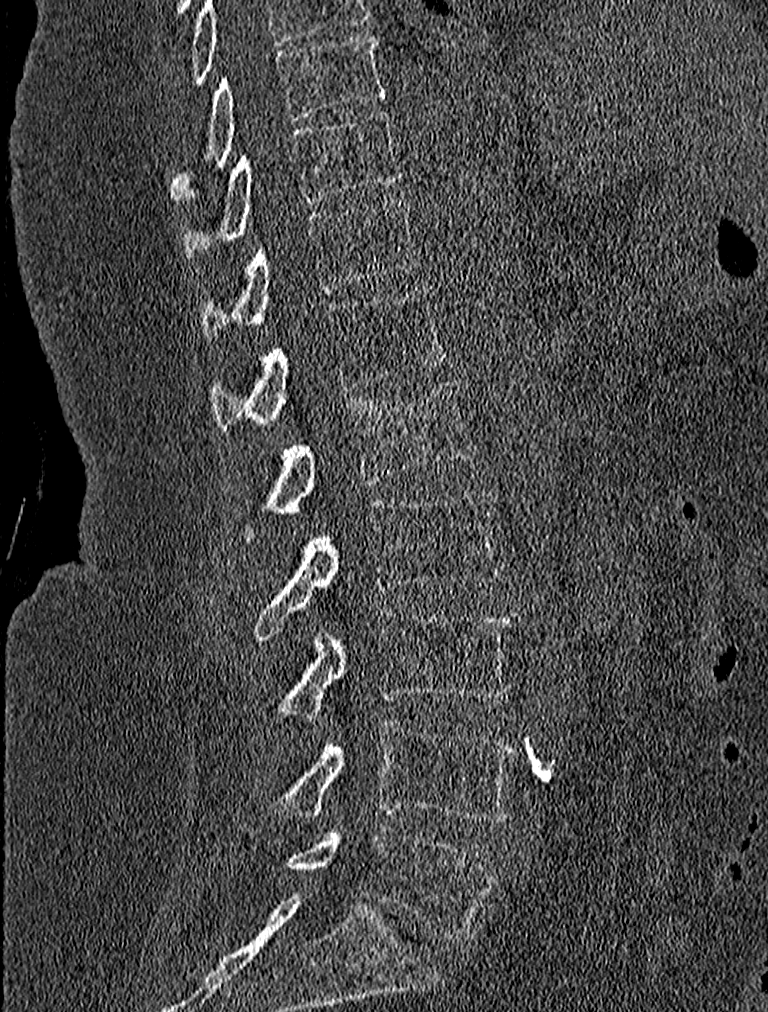
CT, spine. sagittal reformat. 768x1012 px
<vertebrae><v name="L5" x1="286" y1="827" x2="495" y2="941"/><v name="L4" x1="276" y1="719" x2="515" y2="823"/><v name="L3" x1="280" y1="607" x2="519" y2="718"/><v name="L2" x1="253" y1="490" x2="502" y2="640"/><v name="L1" x1="266" y1="382" x2="478" y2="515"/><v name="T12" x1="212" y1="288" x2="448" y2="428"/><v name="T11" x1="202" y1="196" x2="417" y2="337"/><v name="T10" x1="182" y1="108" x2="400" y2="256"/><v name="T9" x1="171" y1="33" x2="387" y2="198"/></vertebrae>